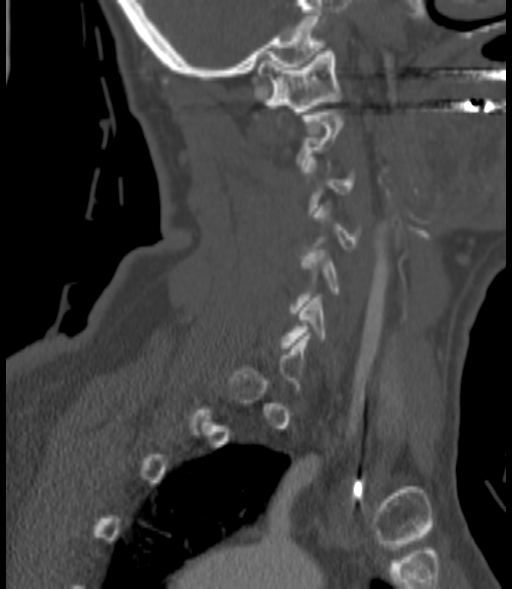 CT, spine; sagittal view; bone window; image width 200 mm
Boxes are (x1, y1, x2, y2) in pixels. Each vertebra is boxed only on the slices from the first to the last where its cross-section reaches a third of its largest, so a slice outside that range leaves it unboxed. Vertebrae labeled: C1 at (257, 48, 340, 114), C6 at (282, 298, 325, 348).